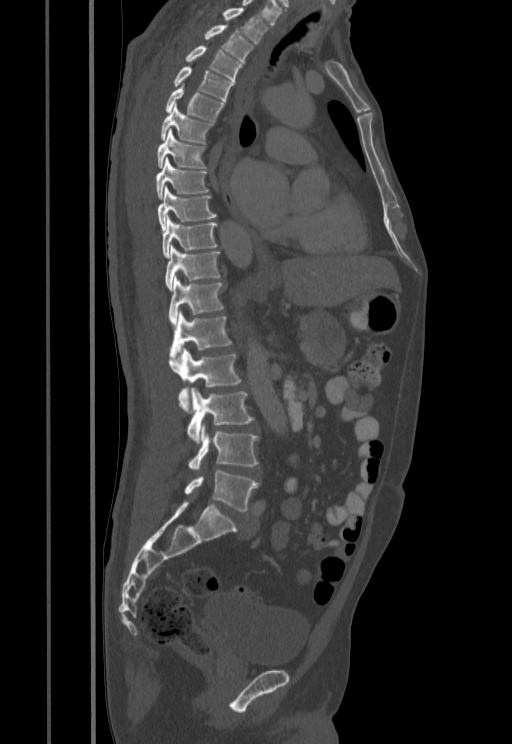 CT spine; sagittal view; W/L 1800/400 HU; 512x744 px
In the table, x1 and y1 are a box's top-left corner and x2 and y2 its bottom-right corner, in pixels.
| vertebra | x1 | y1 | x2 | y2 |
|---|---|---|---|---|
| T1 | 198 | 7 | 269 | 44 |
| T2 | 204 | 25 | 253 | 62 |
| T3 | 184 | 46 | 242 | 81 |
| T4 | 172 | 66 | 234 | 102 |
| T5 | 164 | 87 | 224 | 121 |
| T6 | 161 | 104 | 213 | 144 |
| T7 | 157 | 128 | 206 | 168 |
| T8 | 156 | 158 | 209 | 199 |
| T9 | 157 | 186 | 217 | 230 |
| T10 | 162 | 215 | 217 | 256 |
| T11 | 165 | 246 | 219 | 290 |
| T12 | 169 | 276 | 224 | 324 |
| L1 | 170 | 311 | 232 | 356 |
| L2 | 170 | 347 | 241 | 413 |
| L3 | 187 | 387 | 254 | 442 |
| L4 | 188 | 426 | 259 | 469 |
| L5 | 184 | 471 | 259 | 511 |